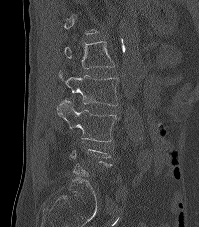

Computed tomography of the spine; sagittal view; bone window; 199x227 px; 199 mm across the image. Boxes: x1:y1:x2:y2 in pixels.
Each vertebra is boxed only on the slices from the first to the last where its cross-section reaches a third of its largest, so a slice outside that range leaves it unboxed.
L1: 64:41:114:68
L2: 59:71:118:105
L3: 57:99:117:141